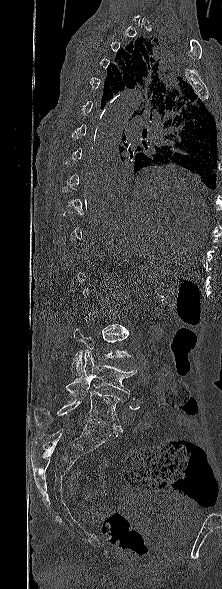

CT spine. sagittal view. Bone window (WL 400, WW 1800)

Bounding boxes as [x1, y1, x2, y2] in pixel coordinates.
A vertebra gets a box only on the slices from the first to the last where its cross-section is at least a third of its largest; on a slice outside that range it gets none.
L3: [71, 328, 132, 376]
L4: [65, 350, 137, 394]
L5: [35, 391, 123, 432]